CT spine — 140 mm across the image — sagittal reformat
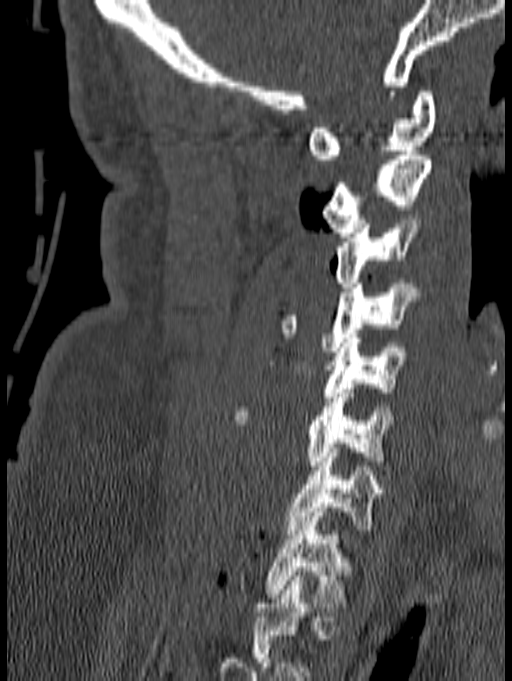
Box edges are left/top/right/bottom in pixels.
In this scan, the topmost labeled vertebra is C1 and the lowest is T1.
| vertebra | x1 | y1 | x2 | y2 |
|---|---|---|---|---|
| T1 | 264 | 507 | 348 | 607 |
| C7 | 286 | 448 | 381 | 534 |
| C6 | 231 | 384 | 395 | 470 |
| C5 | 267 | 334 | 407 | 401 |
| C4 | 278 | 279 | 420 | 351 |
| C3 | 335 | 215 | 422 | 287 |
| C2 | 321 | 151 | 432 | 237 |
| C1 | 307 | 91 | 436 | 159 |